CT spine — sagittal view — W/L 1800/400 HU — scan covers 11 annotated vertebrae
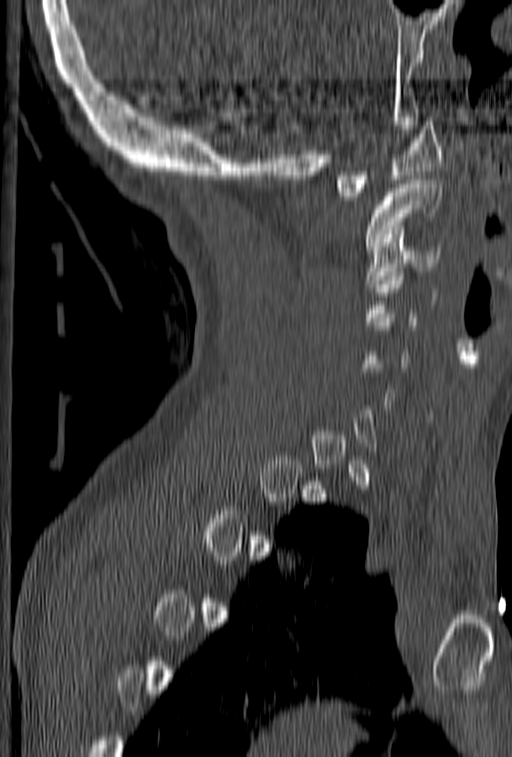

Boxes: x1:y1:x2:y2 in pixels. Not every vertebra on this slice has a box: a vertebra is boxed only from the first to the last slice where its cross-section is at least a third of its largest, and this slice is outside that range for at least one of them. 3 vertebrae labeled — C3 at 365:238:439:283; C2 at 366:180:442:250; C1 at 336:117:442:196.